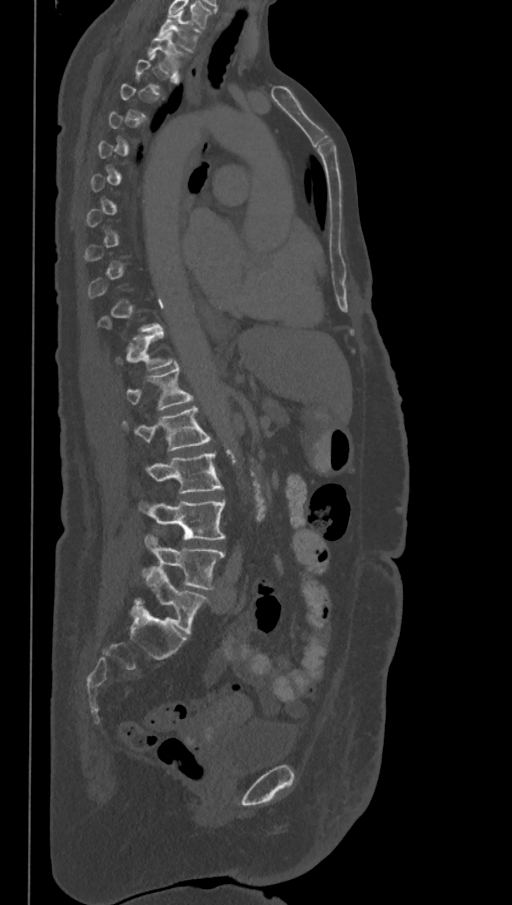

Spine CT — sagittal reformat — 368 mm wide — Bone window (WL 400, WW 1800)
Box edges are left/top/right/bottom in pixels. A vertebra is boxed only from the first to the last slice where its cross-section is at least a third of its largest; slices outside that range leave it without a box. The labels name a sixth lumbar vertebra for this spine: L6, after L5. 8 vertebrae labeled — T1 at left=158, top=11, right=201, bottom=52; T2 at left=147, top=31, right=185, bottom=72; L1 at left=125, top=366, right=194, bottom=410; L2 at left=122, top=406, right=212, bottom=451; L3 at left=146, top=452, right=223, bottom=492; L4 at left=139, top=500, right=224, bottom=540; L5 at left=144, top=533, right=224, bottom=589; L6 at left=135, top=566, right=209, bottom=635.